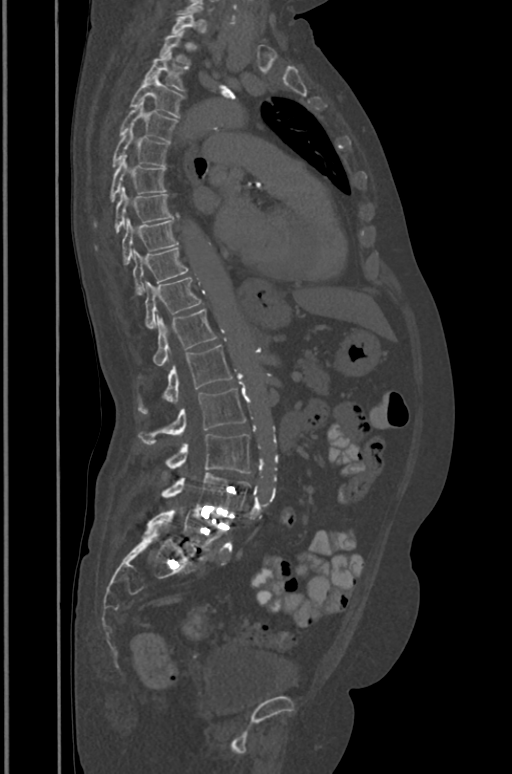
Spine CT — sagittal view — 512x774 px
Boxes below are [x1, y1, x2, y2] in pixels.
Not every vertebra on this slice has a box: a vertebra is boxed only from the first to the last slice where its cross-section is at least a third of its largest, and this slice is outside that range for at least one of them.
{"vertebrae":{"L5":[146,510,227,550],"L4":[161,472,250,513],"L3":[164,434,250,473],"L2":[137,389,245,444],"L1":[137,344,232,412],"T12":[139,308,216,377],"T11":[144,277,201,328],"T10":[132,247,188,295],"T9":[122,218,178,264],"T8":[96,187,178,250],"T7":[93,155,167,227],"T6":[111,127,169,166],"T5":[119,101,177,142],"T4":[130,74,185,117],"T3":[144,51,186,91],"T2":[158,30,190,66]}}